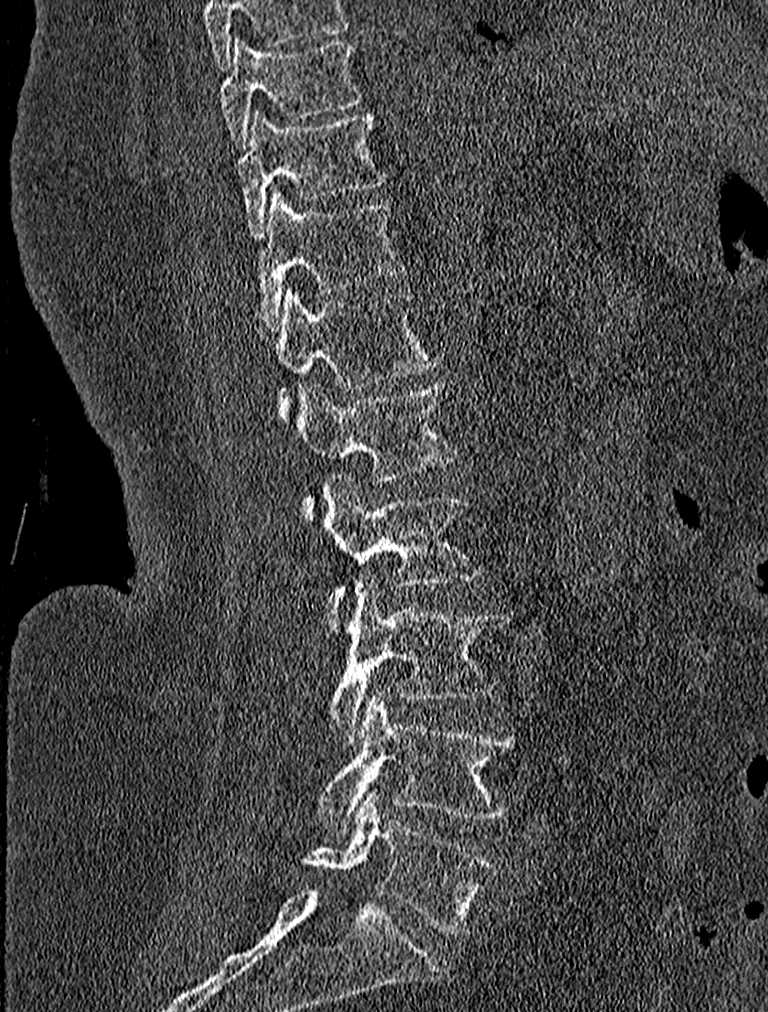 Spine CT — sagittal view
Each box is [x1, y1, x2, y2] in pixels: top-left corner, then bottom-right corner.
Labels in this scan begin with T9 at the top and end with L5 at the bottom.
{"vertebrae":{"T9":[219,35,363,148],"T10":[239,110,387,237],"T11":[254,189,404,331],"T12":[260,285,441,418],"L1":[297,382,458,515],"L2":[324,473,485,629],"L3":[330,577,509,745],"L4":[317,688,519,830],"L5":[303,790,499,934]}}